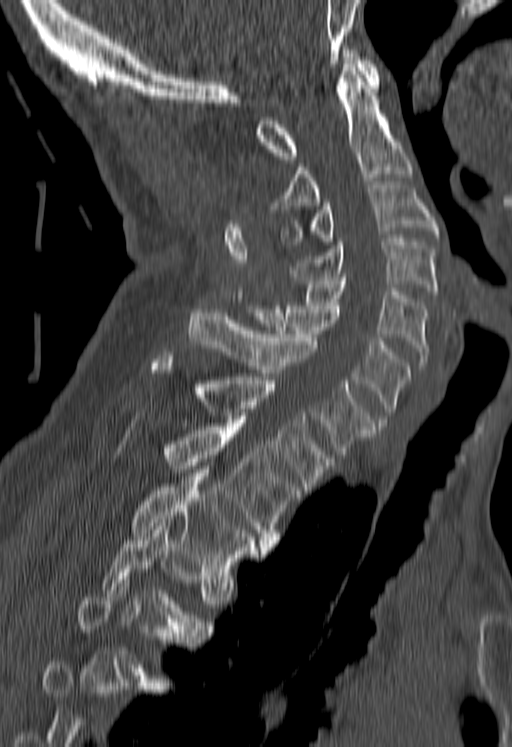 Computed tomography of the spine · sagittal view · 512x747 px · image 180 mm wide

Boxes are (x1, y1, x2, y2) in pixels.
A vertebra gets a box only on the slices from the first to the last where its cross-section is at least a third of its largest; on a slice outside that range it gets none.
Vertebra bounding boxes:
- C1: (255, 46, 379, 159)
- C2: (271, 64, 412, 209)
- C3: (280, 185, 438, 244)
- C4: (289, 238, 438, 294)
- C5: (291, 277, 429, 369)
- C6: (243, 302, 410, 422)
- C7: (188, 309, 373, 454)
- T1: (150, 352, 333, 490)
- T2: (166, 423, 301, 547)
- T3: (132, 466, 264, 571)
- T4: (100, 523, 210, 639)